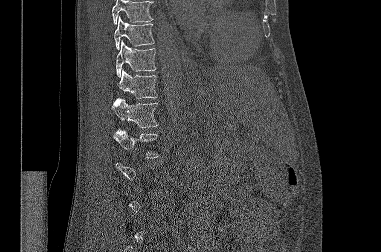

Spine computed tomography — sagittal reformat — 381x252 px
In the table, x1 and y1 are a box's top-left corner and x2 and y2 its bottom-right corner, in pixels.
Each vertebra is boxed only on the slices from the first to the last where its cross-section reaches a third of its largest, so a slice outside that range leaves it unboxed.
Where the top of the scan cuts through a vertebra, that vertebra gets no label or box.
| vertebra | x1 | y1 | x2 | y2 |
|---|---|---|---|---|
| T9 | 114 | 16 | 154 | 49 |
| T10 | 116 | 40 | 156 | 77 |
| T11 | 118 | 69 | 157 | 98 |
| T12 | 111 | 98 | 158 | 128 |
| L1 | 113 | 129 | 159 | 158 |